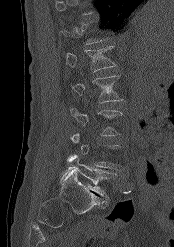
Computed tomography of the spine · sagittal reformat

Box edges are left/top/right/bottom in pixels.
A vertebra gets a box only on the slices from the first to the last where its cross-section is at least a third of its largest; on a slice outside that range it gets none.
| vertebra | x1 | y1 | x2 | y2 |
|---|---|---|---|---|
| L1 | 65 | 45 | 116 | 72 |
| L2 | 70 | 75 | 123 | 102 |
| L5 | 63 | 154 | 115 | 200 |